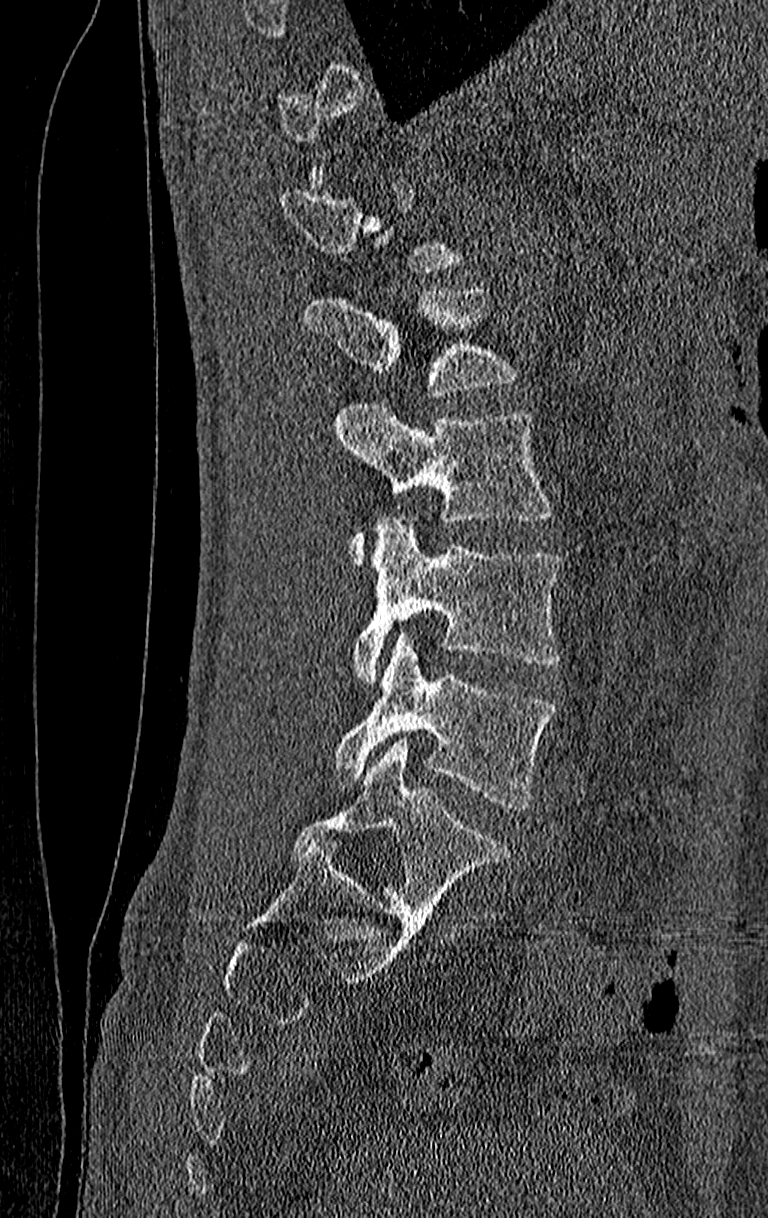

Spine CT; sagittal view

Boxes are (x1, y1, x2, y2) in pixels. A vertebra gets a box only on the slices from the first to the last where its cross-section is at least a third of its largest; on a slice outside that range it gets none. In this scan, the topmost labeled vertebra is T11 and the lowest is L4. The labeled vertebrae in this slice are: L4 at (331, 634, 557, 812), L3 at (353, 517, 561, 680), L2 at (335, 403, 554, 563), L1 at (306, 286, 517, 396).